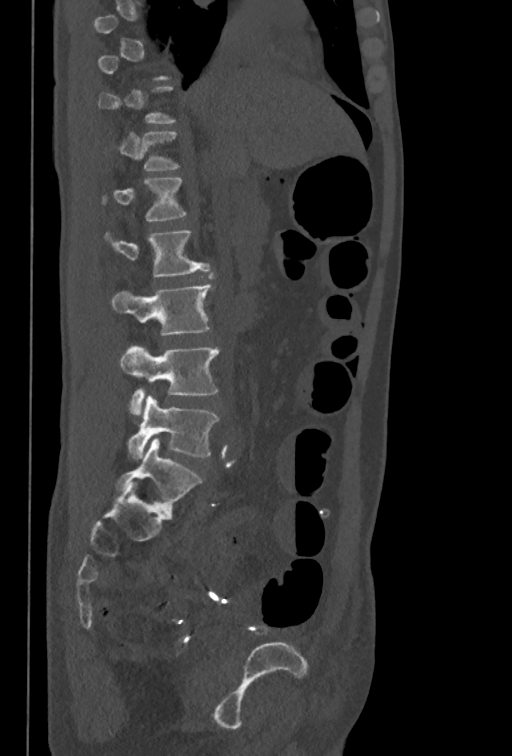 Spine CT. the image is 350 mm wide. sagittal reformat. W/L 1800/400 HU

Each box given as x1,y1,x2,y2.
A vertebra gets a box only on the slices from the first to the last where its cross-section is at least a third of its largest; on a slice outside that range it gets none.
Vertebra bounding boxes:
- L5: x1=127, y1=395, x2=218, y2=458
- L4: x1=120, y1=346, x2=220, y2=415
- L3: x1=111, y1=284, x2=211, y2=335
- L2: x1=104, y1=230, x2=209, y2=277
- L1: x1=104, y1=178, x2=186, y2=222